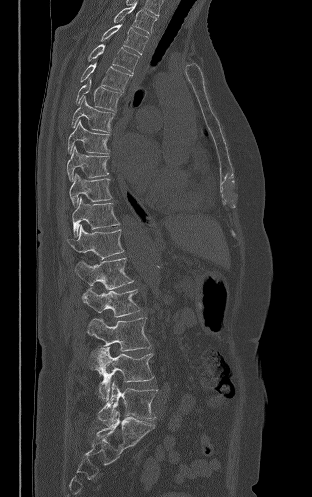

CT, spine. sagittal view. 312x497 px
Each vertebra maps to its box as [x1, y1, x2, y2], the pixel coordinates of its top-left and bottom-right corners.
{"vertebrae":{"T2":[113,2,156,33],"T3":[101,24,148,55],"T4":[88,44,139,73],"T5":[80,63,132,92],"T6":[76,78,121,111],"T7":[71,96,114,132],"T8":[68,120,109,153],"T9":[66,145,109,181],"T10":[69,173,112,205],"T11":[72,197,119,236],"T12":[67,225,124,259],"L1":[74,258,133,289],"L2":[82,287,140,317],"L3":[87,317,150,351],"L4":[90,347,153,400],"L5":[98,381,157,425]}}